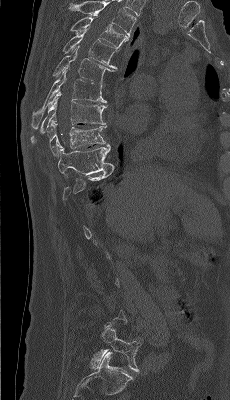

CT, spine. sagittal view. 230x400 px
Boxes: x1 y1 x2 y2 (pixel coords, space-separated).
A vertebra gets a box only on the slices from the first to the last where its cross-section is at least a third of its largest; on a slice outside that range it gets none.
This scan's labels start at T4 at the top and end at L5 at the bottom.
L5: 89 327 141 372
T10: 58 146 113 180
T9: 47 120 109 156
T8: 31 91 106 143
T7: 31 68 106 129
T6: 53 46 115 86
T5: 63 27 119 69
T4: 71 15 129 48